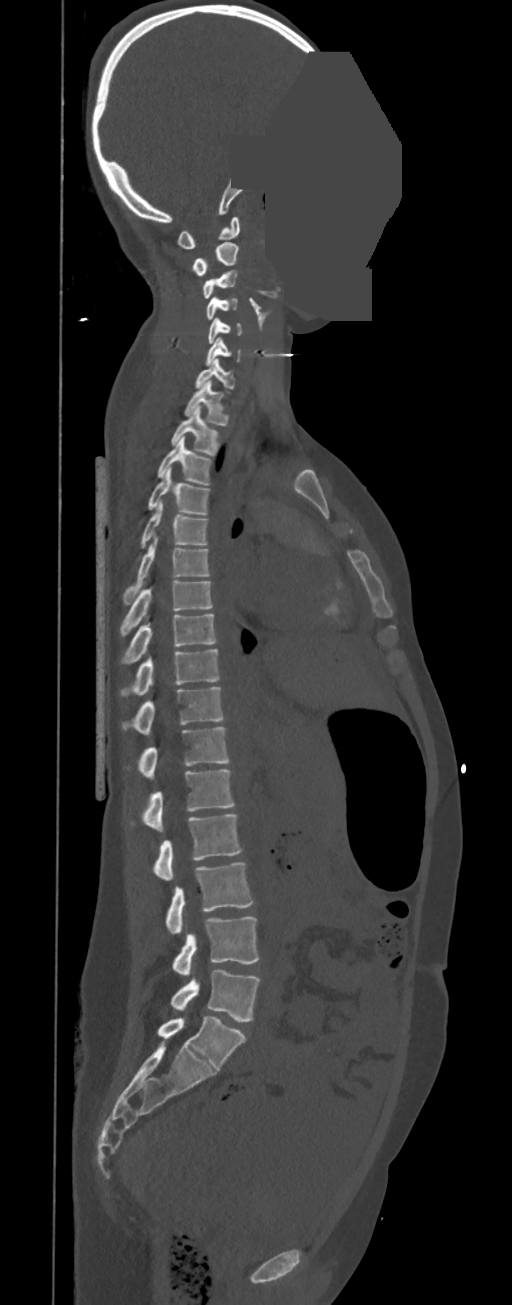

CT spine — sagittal view — 512x1305 px — a region is masked with a constant gray value
Box values are [left, top, right, bottom] in pixels.
In these labels the spine has no T12: the thoracic vertebrae end at T11, and L1 comes next.
{"vertebrae":{"C1":[176,216,239,249],"C2":[193,242,239,275],"C3":[203,270,237,298],"C4":[206,296,237,319],"C5":[208,317,242,343],"C6":[206,337,241,366],"C7":[194,358,234,393],"T1":[184,380,228,426],"T2":[171,406,220,456],"T3":[158,436,211,485],"T4":[148,466,209,515],"T5":[140,500,208,548],"T6":[123,537,209,605],"T7":[120,581,212,635],"T8":[121,614,217,664],"T9":[121,649,220,697],"T10":[123,687,224,735],"T11":[137,727,229,780],"L1":[130,769,234,831],"L2":[153,814,242,880],"L3":[165,862,253,934],"L4":[172,916,259,975],"L5":[171,970,259,1022]}}